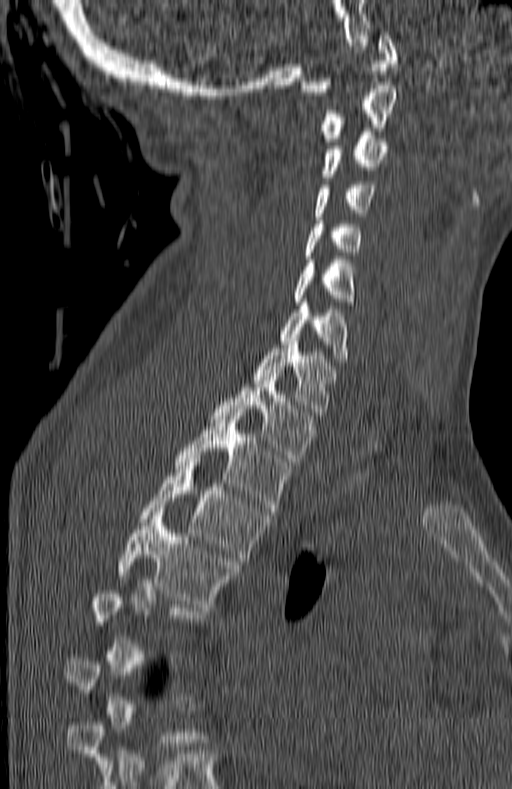
Spine CT; sagittal view; 512x789 px
Each vertebra maps to its box as [x1, y1, x2, y2], the pixel coordinates of its top-left and bottom-right corners.
A vertebra gets a box only on the slices from the first to the last where its cross-section is at least a third of its largest; on a slice outside that range it gets none.
{"vertebrae":{"T5":[117,512,239,607],"T4":[140,459,270,561],"T3":[174,412,293,511],"T2":[211,377,316,461],"T1":[254,341,338,419],"C7":[280,302,347,365],"C6":[294,260,355,308],"C5":[305,220,361,259],"C4":[314,181,376,219],"C3":[322,132,387,177],"C2":[319,85,395,141],"C1":[301,32,398,95]}}